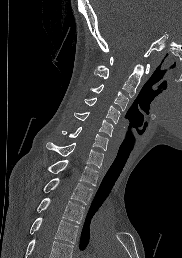

CT, spine — sagittal reformat — 182 mm image width. Boxes: x1 y1 x2 y2 (pixel coords, space-separated).
Where the bottom of the scan cuts through a vertebra, that vertebra gets no label or box.
C1: 109 57 149 73
C2: 94 64 143 97
C3: 91 84 128 110
C4: 85 97 120 123
C5: 74 112 113 136
C6: 62 127 108 150
C7: 46 142 103 168
T1: 47 159 98 186
T2: 43 178 92 204
T3: 37 197 84 223
T4: 30 217 78 243